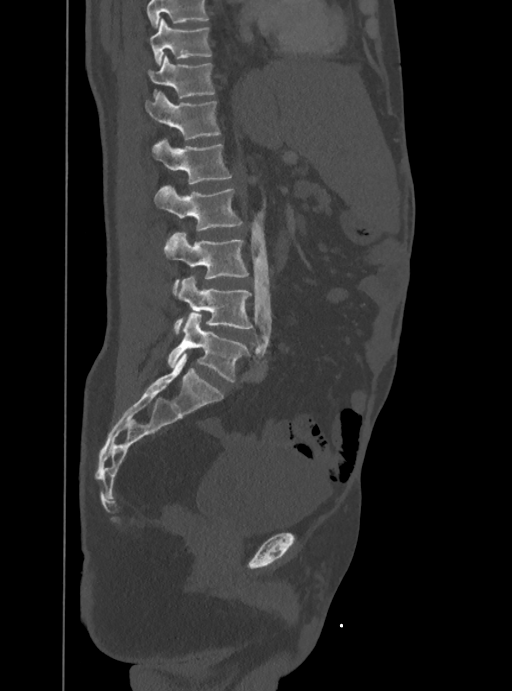

Computed tomography of the spine — sagittal view — 512x691 px
Boxes below are [x1, y1, x2, y2] in pixels.
A vertebra cut off by the top edge of the scan is not labeled and has no box.
{"vertebrae":{"T10":[150,18,211,64],"T11":[149,56,215,98],"T12":[145,91,221,140],"L1":[153,139,231,183],"L2":[154,184,242,229],"L3":[163,232,248,292],"L4":[174,276,253,334],"L5":[167,314,247,381]}}